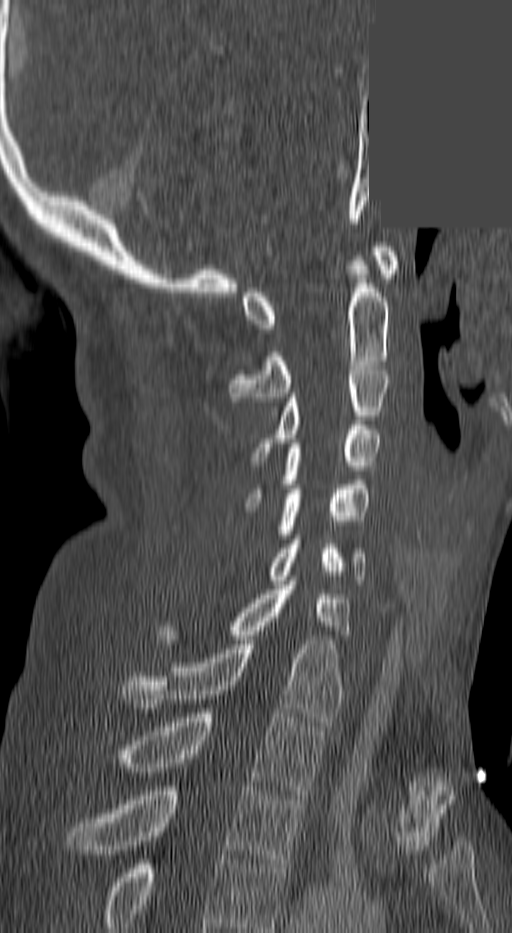 Computed tomography of the spine · sagittal view · part of the image has been replaced by a constant value

Bounding boxes as [x1, y1, x2, y2] in pixel coordinates.
This scan's labels start at C1 at the top and end at T3 at the bottom.
C1: [243, 247, 399, 333]
C2: [228, 256, 388, 401]
C3: [256, 366, 388, 465]
C4: [249, 425, 381, 502]
C5: [279, 480, 370, 543]
C6: [268, 539, 366, 584]
C7: [159, 581, 351, 644]
T1: [122, 640, 340, 726]
T2: [122, 713, 322, 794]
T3: [67, 786, 304, 868]